Computed tomography of the spine. image 160 mm wide. sagittal plane, index 294
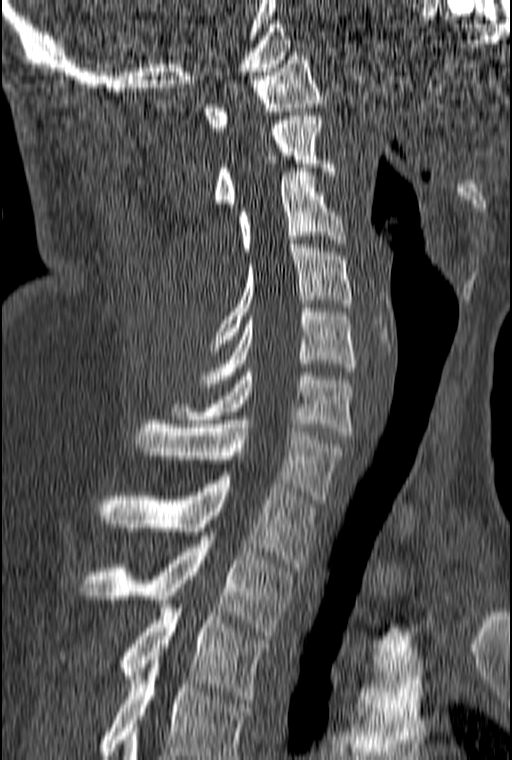
Each box given as x1,y1,x2,y2.
Labels in this scan begin with C1 at the top and end with T3 at the bottom.
Vertebra bounding boxes:
- C1: x1=203, y1=52, x2=322, y2=131
- C2: x1=214, y1=112, x2=335, y2=207
- C3: x1=238, y1=168, x2=346, y2=255
- C4: x1=209, y1=244, x2=352, y2=351
- C5: x1=201, y1=308, x2=355, y2=387
- C6: x1=172, y1=368, x2=352, y2=435
- C7: x1=136, y1=420, x2=346, y2=503
- T1: x1=97, y1=476, x2=315, y2=567
- T2: x1=81, y1=536, x2=291, y2=635
- T3: x1=120, y1=608, x2=269, y2=703